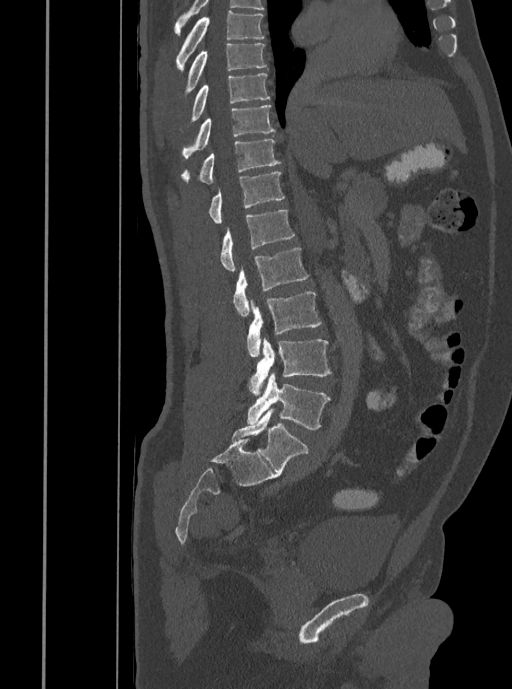
Spine CT — the image spans 408 mm across — sagittal view — bone-window reconstruction

Box edges are left/top/right/bottom in pixels.
| vertebra | x1 | y1 | x2 | y2 |
|---|---|---|---|---|
| T7 | 176 | 10 | 264 | 72 |
| T8 | 183 | 43 | 266 | 97 |
| T9 | 182 | 73 | 270 | 130 |
| T10 | 182 | 104 | 275 | 158 |
| T11 | 181 | 139 | 281 | 183 |
| T12 | 208 | 172 | 284 | 223 |
| L1 | 219 | 210 | 295 | 271 |
| L2 | 233 | 247 | 308 | 315 |
| L3 | 247 | 291 | 321 | 357 |
| L4 | 249 | 339 | 331 | 395 |
| L5 | 247 | 373 | 330 | 429 |